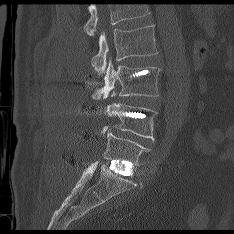

CT, spine — sagittal view

Each box is [x1, y1, x2, y2] in pixels: top-left corner, then bottom-right corner.
Where the top of the scan cuts through a vertebra, that vertebra gets no label or box.
{"vertebrae":{"L2":[91,25,157,74],"L3":[92,60,159,99],"L4":[97,92,156,140],"L5":[101,126,149,166]}}